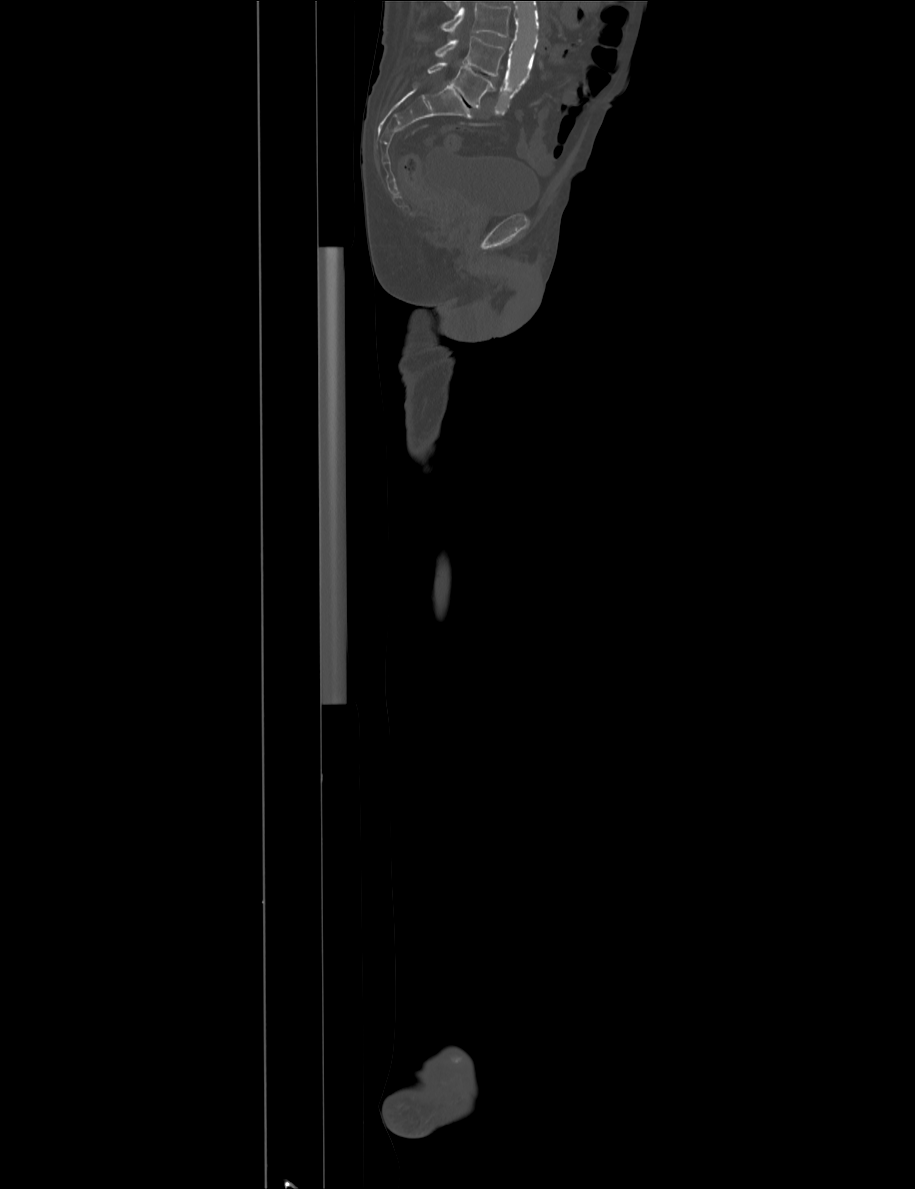

CT, spine · image width 915 mm · sagittal view · bone window
A vertebra cut off by the top edge of the scan is not labeled and has no box.
<vertebrae><v name="L4" x1="435" y1="37" x2="504" y2="76"/><v name="L5" x1="427" y1="62" x2="495" y2="107"/></vertebrae>